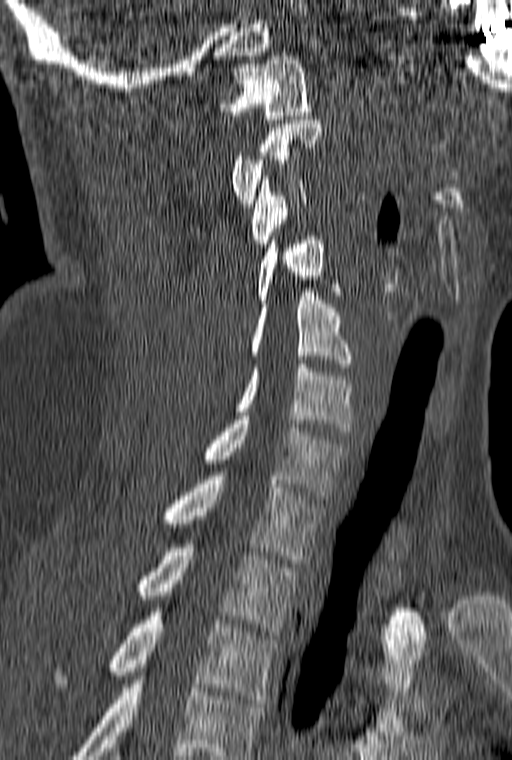
CT · sagittal view · Bone window (WL 400, WW 1800) · 512x760 px

Each vertebra maps to its box as [x1, y1, x2, y2], the pixel coordinates of its top-left and bottom-right corners.
Labels in this scan begin with C1 at the top and end with T3 at the bottom.
{"vertebrae":{"C1":[220,56,311,119],"C2":[230,120,323,207],"C3":[251,176,306,247],"C4":[254,236,339,303],"C5":[251,288,352,367],"C6":[235,364,352,431],"C7":[203,416,349,499],"T1":[164,472,325,563],"T2":[136,544,298,635],"T3":[54,608,279,703]}}